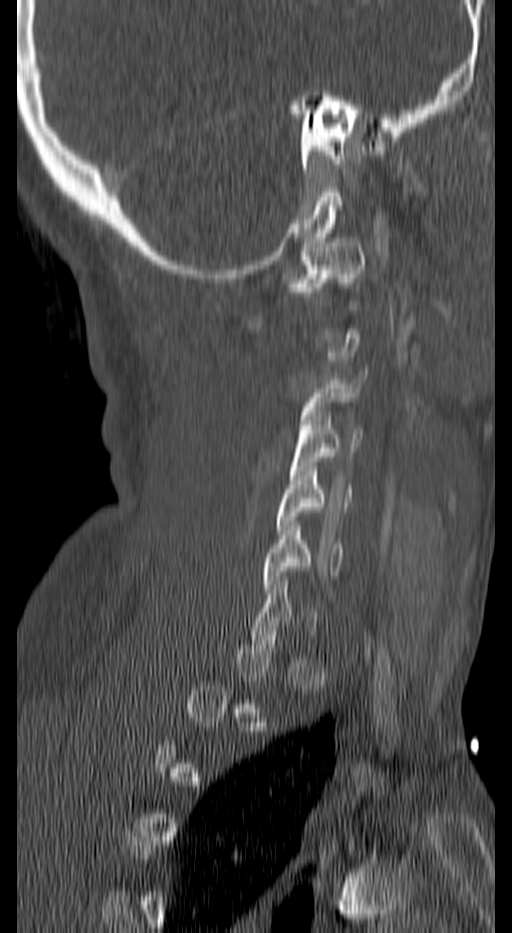
CT — sagittal reformat — bone window — 512x933 px

Bounding boxes as [x1, y1, x2, y2] in pixel coordinates. Each vertebra is boxed only on the slices from the first to the last where its cross-section reaches a third of its largest, so a slice outside that range leaves it unboxed. 5 vertebrae labeled — C1 at [286, 238, 366, 305]; C3 at [300, 370, 366, 438]; C4 at [290, 411, 362, 479]; C5 at [276, 466, 351, 534]; C6 at [265, 521, 344, 593].